Spine CT; Sagittal slice 212/350
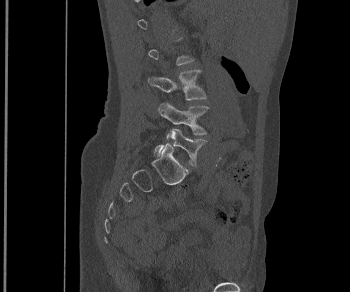

Each vertebra maps to its box as [x1, y1, x2, y2], the pixel coordinates of its top-left and bottom-right corners.
A vertebra gets a box only on the slices from the first to the last where its cross-section is at least a third of its largest; on a slice outside that range it gets none.
{"vertebrae":{"L5":[154,128,206,166],"L4":[158,102,208,137],"L3":[148,69,206,100]}}